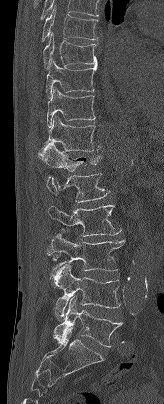 CT spine — sagittal view

Box values are [left, top, right, bottom] in pixels.
{"vertebrae":{"T7":[41,6,98,41],"T8":[43,32,97,69],"T9":[46,58,97,97],"T10":[47,87,95,127],"T11":[44,116,100,151],"T12":[38,143,102,171],"L1":[46,173,109,202],"L2":[48,204,122,236],"L3":[47,232,124,271],"L4":[51,264,120,320],"L5":[53,296,122,347]}}